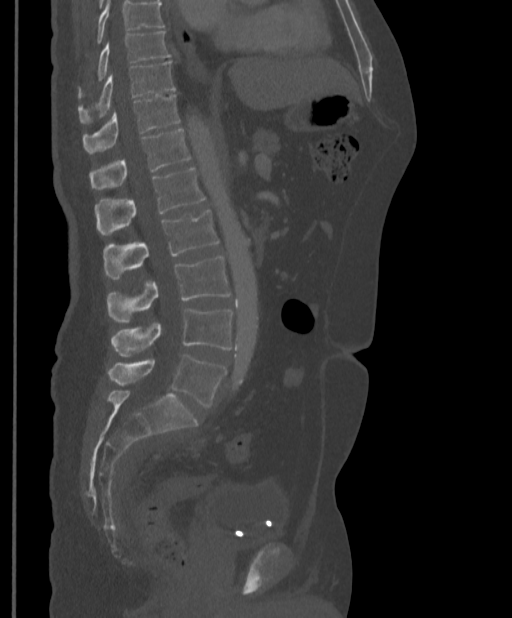
CT — sagittal view
Each vertebra maps to its box as [x1, y1, x2, y2], the pixel coordinates of its top-left and bottom-right corners.
No box is given to a vertebra that the top edge of the scan cuts off.
{"vertebrae":{"T9":[79,31,170,96],"T10":[79,61,176,123],"T11":[82,94,179,152],"T12":[89,129,191,189],"L1":[94,168,205,234],"L2":[103,210,219,279],"L3":[107,257,231,323],"L4":[111,308,232,356],"L5":[108,355,226,407]}}